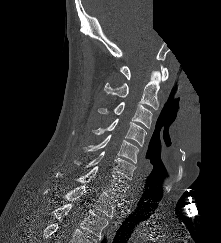

Spine computed tomography; sagittal view; 221 mm wide; W/L 1800/400 HU; part of the image has been replaced by a constant value
In the table, x1 and y1 are a box's top-left corner and x2 and y2 its bottom-right corner, in pixels.
| vertebra | x1 | y1 | x2 | y2 |
|---|---|---|---|---|
| T2 | 52 | 203 | 108 | 240 |
| T1 | 43 | 185 | 123 | 218 |
| C7 | 56 | 166 | 129 | 199 |
| C6 | 73 | 151 | 136 | 179 |
| C5 | 83 | 134 | 138 | 163 |
| C4 | 92 | 118 | 146 | 146 |
| C3 | 98 | 101 | 152 | 128 |
| C2 | 104 | 70 | 160 | 109 |
| C1 | 120 | 65 | 168 | 81 |